CT, spine. the image spans 445 mm across. sagittal view
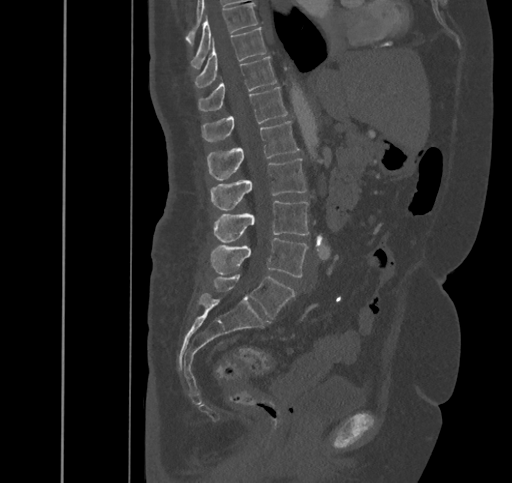
Boxes: x1:y1:x2:y2 in pixels.
L5: 213:274:295:318
L4: 210:237:307:277
L3: 214:201:308:242
L2: 210:158:306:210
L1: 207:121:299:180
T12: 202:87:288:141
T11: 198:57:276:111
T10: 194:27:266:87
T9: 191:3:258:68